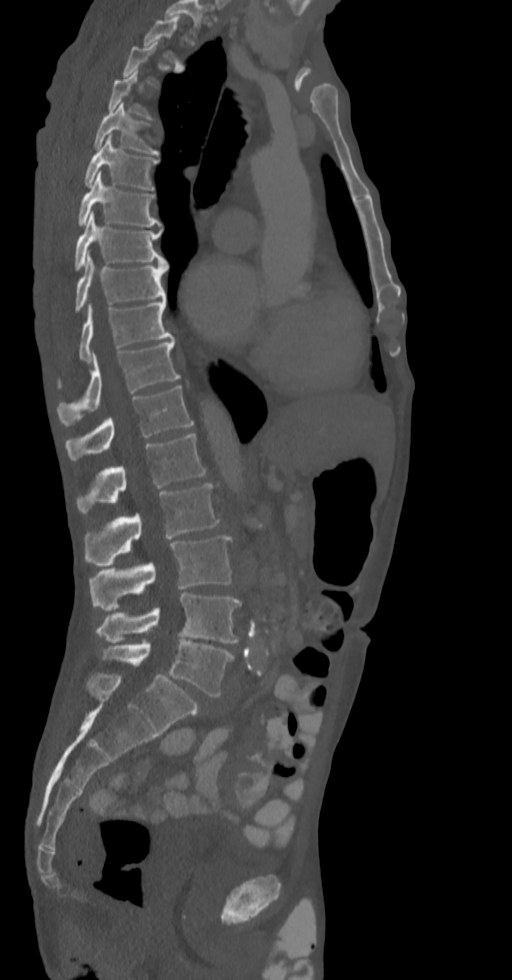 Spine computed tomography. sagittal view. 512x980 px. image 336 mm wide
Each box given as x1,y1,x2,y2.
Not every vertebra on this slice has a box: a vertebra is boxed only from the first to the last slice where its cross-section is at least a third of its largest, and this slice is outside that range for at least one of them.
| vertebra | x1 | y1 | x2 | y2 |
|---|---|---|---|---|
| T5 | 94 | 102 | 159 | 154 |
| T6 | 85 | 136 | 157 | 189 |
| T7 | 77 | 172 | 160 | 226 |
| T8 | 74 | 212 | 168 | 269 |
| T9 | 76 | 253 | 168 | 311 |
| T10 | 79 | 297 | 174 | 360 |
| T11 | 58 | 340 | 180 | 426 |
| T12 | 65 | 386 | 194 | 461 |
| L1 | 76 | 433 | 206 | 514 |
| L2 | 85 | 483 | 220 | 567 |
| L3 | 88 | 536 | 232 | 610 |
| L4 | 96 | 593 | 241 | 642 |
| L5 | 100 | 640 | 233 | 697 |